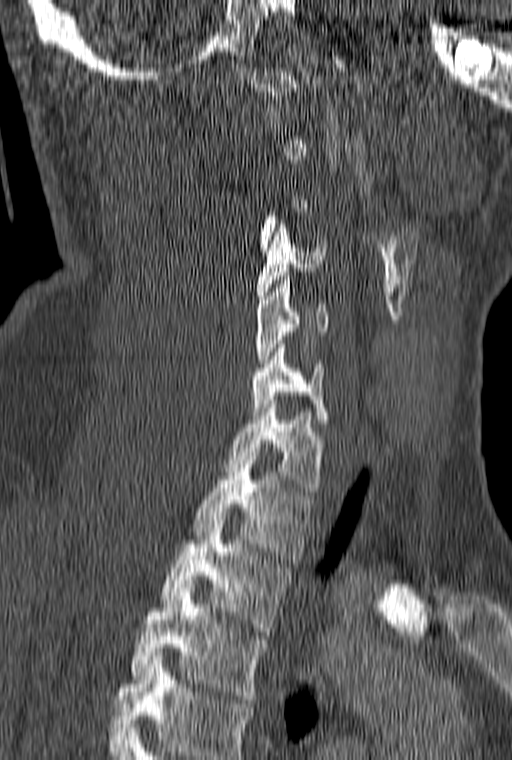

CT · image 160 mm wide · sagittal view. Boxes: x1 y1 x2 y2 (pixel coords, space-separated).
Not every vertebra on this slice has a box: a vertebra is boxed only from the first to the last slice where its cross-section is at least a third of its largest, and this slice is outside that range for at least one of them.
The highest labeled vertebra in this scan is C1; the lowest is T3.
Vertebra bounding boxes:
- T3: 129 588 269 703
- T2: 161 520 291 631
- T1: 192 452 313 559
- C7: 225 400 323 495
- C6: 251 340 328 423
- C5: 256 276 328 367
- C4: 257 224 326 303